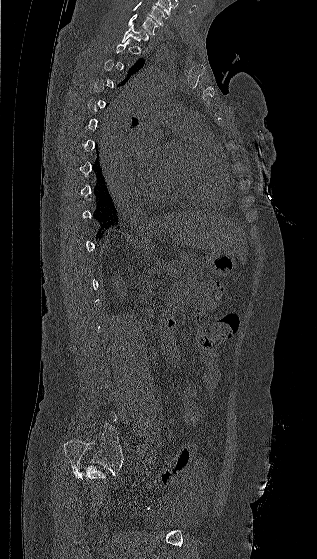 Spine computed tomography — sagittal view — Bone window (WL 400, WW 1800)
Not every vertebra on this slice has a box: a vertebra is boxed only from the first to the last slice where its cross-section is at least a third of its largest, and this slice is outside that range for at least one of them.
Labels in this scan begin with C7 at the top and end with L5 at the bottom.
<vertebrae><v name="T1" x1="121" y1="26" x2="148" y2="42"/><v name="C7" x1="127" y1="14" x2="158" y2="35"/></vertebrae>